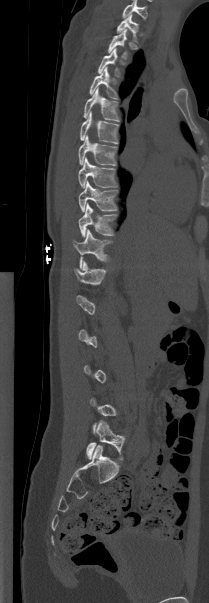

CT, spine. sagittal reformat
Box edges are left/top/right/bottom in pixels.
Each vertebra is boxed only on the slices from the first to the last where its cross-section reaches a third of its largest, so a slice outside that range leaves it unboxed.
This scan's labels start at T1 at the top and end at L5 at the bottom.
| vertebra | x1 | y1 | x2 | y2 |
|---|---|---|---|---|
| L5 | 86 | 420 | 125 | 460 |
| T12 | 74 | 261 | 106 | 284 |
| T11 | 73 | 229 | 112 | 268 |
| T10 | 78 | 204 | 116 | 237 |
| T9 | 78 | 181 | 117 | 212 |
| T8 | 78 | 158 | 117 | 188 |
| T7 | 78 | 135 | 116 | 165 |
| T6 | 80 | 111 | 118 | 143 |
| T5 | 83 | 87 | 119 | 121 |
| T4 | 89 | 67 | 116 | 98 |
| T3 | 98 | 49 | 120 | 76 |
| T2 | 108 | 29 | 127 | 58 |
| T1 | 116 | 14 | 138 | 41 |